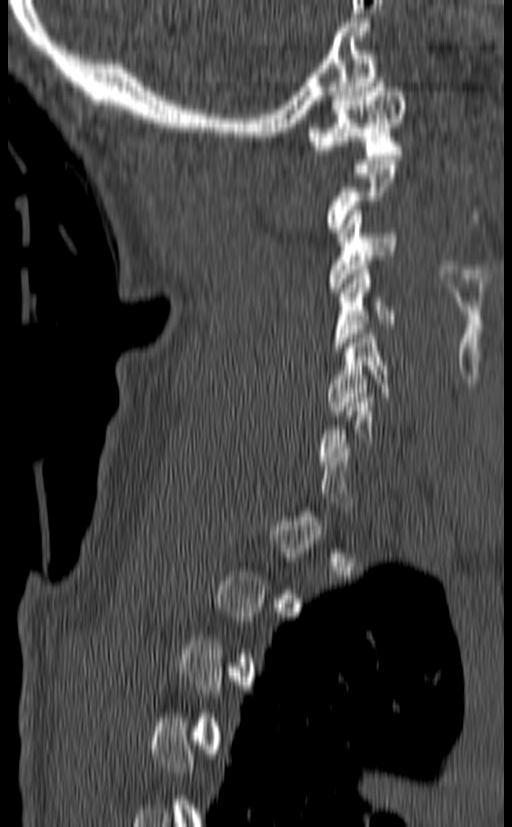 CT, spine — sagittal view — 512x827 px
A vertebra gets a box only on the slices from the first to the last where its cross-section is at least a third of its largest; on a slice outside that range it gets none.
<vertebrae><v name="C1" x1="307" y1="78" x2="406" y2="159"/><v name="C3" x1="329" y1="206" x2="396" y2="292"/><v name="C4" x1="332" y1="265" x2="396" y2="351"/><v name="C5" x1="327" y1="329" x2="389" y2="415"/></vertebrae>